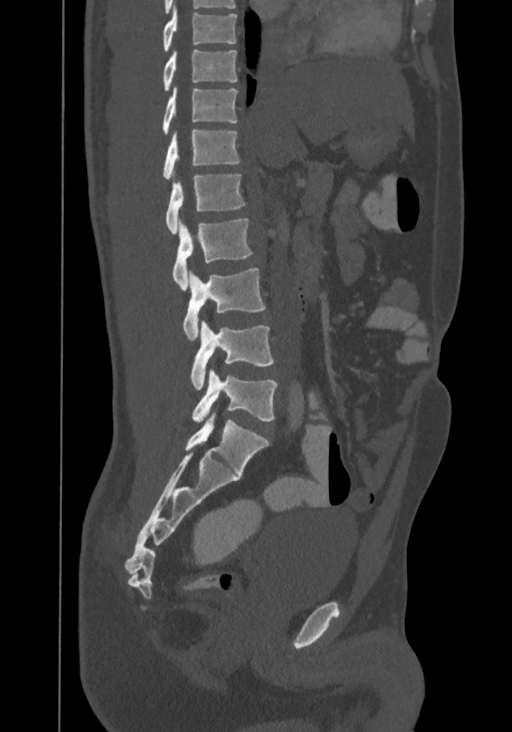

CT — sagittal reformat — 512x732 px — the image is 367 mm wide

This scan's labels start at T8 at the top and end at L4 at the bottom.
<vertebrae><v name="T8" x1="163" y1="6" x2="236" y2="52"/><v name="T9" x1="163" y1="49" x2="237" y2="91"/><v name="T10" x1="163" y1="88" x2="237" y2="135"/><v name="T11" x1="163" y1="129" x2="240" y2="179"/><v name="T12" x1="165" y1="175" x2="246" y2="234"/><v name="L1" x1="172" y1="218" x2="253" y2="289"/><v name="L2" x1="183" y1="267" x2="265" y2="341"/><v name="L3" x1="191" y1="320" x2="274" y2="389"/><v name="L4" x1="192" y1="369" x2="278" y2="421"/></vertebrae>